CT spine; sagittal plane, index 72; 173x184 px; 8 vertebrae labeled in this scan; some of the image was removed or blocked out with constant pixels
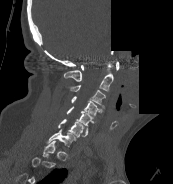

Boxes: x1 y1 x2 y2 (pixel coords, space-separated).
A vertebra is boxed only from the first to the last slice where its cross-section is at least a third of its largest; slices outside that range leave it without a box.
C7: 47 129 76 147
C6: 58 119 87 137
C5: 66 106 93 131
C4: 71 96 102 115
C3: 70 85 105 108
C2: 63 63 113 91
C1: 81 61 119 71